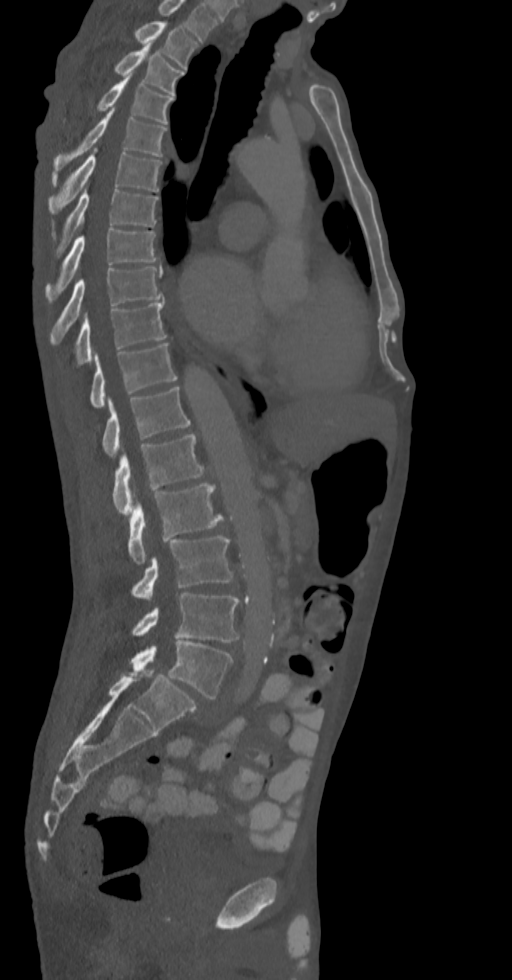
CT, spine — sagittal view
Box edges are left/top/right/bottom in pixels.
The highest labeled vertebra in this scan is T2; the lowest is L5.
Vertebra bounding boxes:
- T2: left=134, top=21, right=198, bottom=69
- T3: left=114, top=44, right=183, bottom=95
- T4: left=97, top=76, right=174, bottom=124
- T5: left=53, top=108, right=166, bottom=171
- T6: left=48, top=148, right=162, bottom=214
- T7: left=52, top=186, right=157, bottom=257
- T8: left=45, top=229, right=157, bottom=302
- T9: left=50, top=267, right=162, bottom=343
- T10: left=76, top=302, right=166, bottom=365
- T11: left=90, top=343, right=177, bottom=407
- T12: left=102, top=387, right=191, bottom=456
- L1: left=112, top=434, right=209, bottom=514
- L2: left=128, top=483, right=223, bottom=564
- L3: left=131, top=536, right=232, bottom=599
- L4: left=132, top=593, right=239, bottom=642
- L5: left=130, top=640, right=233, bottom=698